CT — sagittal reformat — 512x845 px — scan covers 16 annotated vertebrae
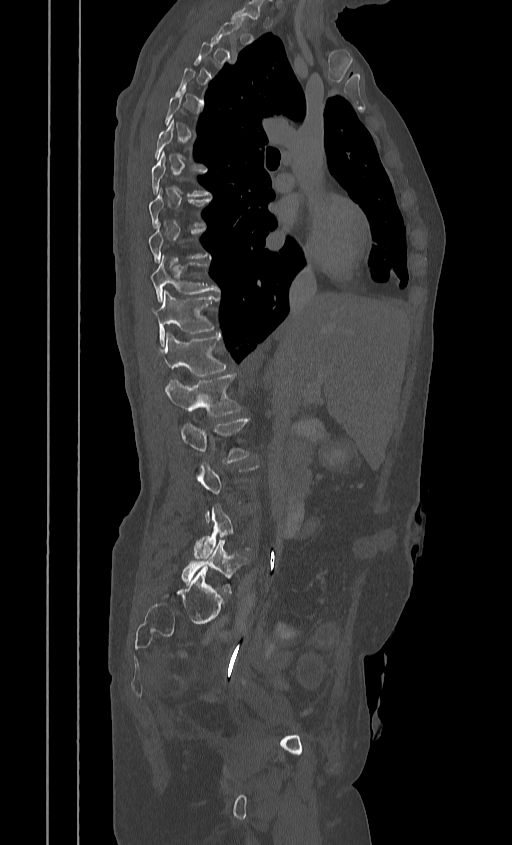 Not every vertebra on this slice has a box: a vertebra is boxed only from the first to the last slice where its cross-section is at least a third of its largest, and this slice is outside that range for at least one of them.
<vertebrae><v name="T10" x1="150" y1="255" x2="219" y2="300"/><v name="T11" x1="152" y1="291" x2="217" y2="344"/><v name="T12" x1="160" y1="333" x2="227" y2="376"/><v name="L1" x1="165" y1="373" x2="240" y2="416"/><v name="L2" x1="180" y1="417" x2="248" y2="462"/><v name="L4" x1="194" y1="504" x2="249" y2="558"/><v name="L5" x1="181" y1="539" x2="247" y2="592"/></vertebrae>